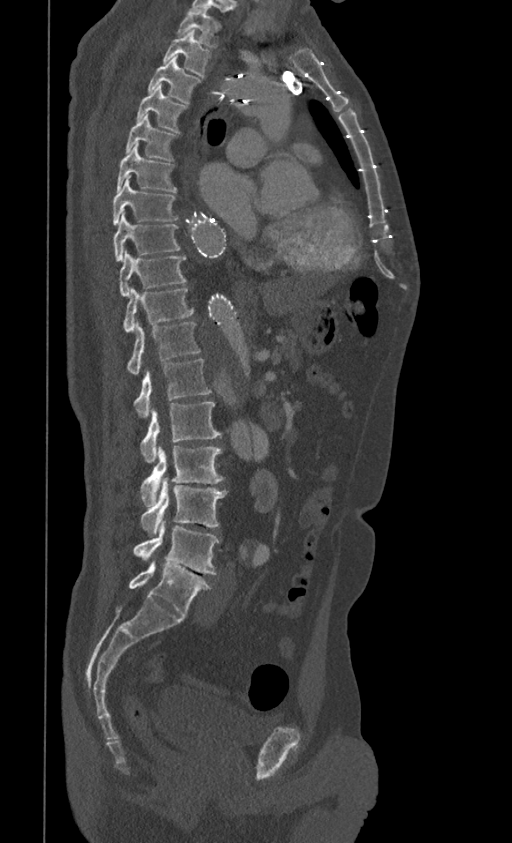

Spine computed tomography · sagittal reformat · W/L 1800/400 HU
Each row gives a vertebra's box as x1, y1, x2, y2 in pixels: top-left corner, then bottom-right corner.
| vertebra | x1 | y1 | x2 | y2 |
|---|---|---|---|---|
| L5 | 129 | 561 | 212 | 616 |
| L4 | 133 | 519 | 220 | 574 |
| L3 | 140 | 477 | 227 | 535 |
| L2 | 140 | 446 | 223 | 506 |
| L1 | 140 | 402 | 222 | 462 |
| T12 | 133 | 359 | 211 | 417 |
| T11 | 127 | 322 | 200 | 373 |
| T10 | 123 | 288 | 194 | 333 |
| T9 | 119 | 251 | 186 | 297 |
| T8 | 113 | 211 | 181 | 261 |
| T7 | 113 | 176 | 179 | 225 |
| T6 | 117 | 143 | 176 | 192 |
| T5 | 126 | 114 | 176 | 161 |
| T4 | 136 | 83 | 186 | 133 |
| T3 | 147 | 58 | 202 | 103 |
| T2 | 162 | 30 | 211 | 76 |
| T1 | 176 | 10 | 221 | 46 |